CT — 382 mm across the image — sagittal reformat — 20 vertebrae labeled in this scan
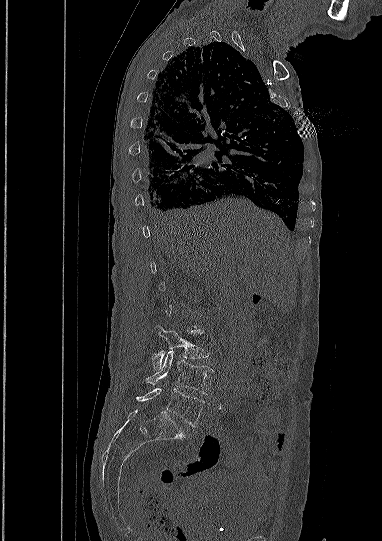 Boxes: x1:y1:x2:y2 in pixels.
Vertebra bounding boxes:
- L3: 152:330:208:369
- L4: 146:351:213:394
- L5: 136:388:204:426